CT spine. sagittal view. 231x462 px
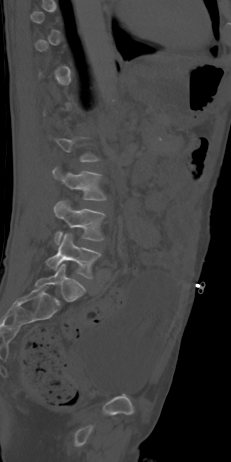

Boxes below are [x1, y1, x2, y2] in pixels.
Not every vertebra on this slice has a box: a vertebra is boxed only from the first to the last slice where its cross-section is at least a third of its largest, and this slice is outside that range for at least one of them.
{"vertebrae":{"L5":[46,233,101,278],"L4":[54,200,105,244],"L3":[53,168,106,200]}}